Spine computed tomography; sagittal reformat
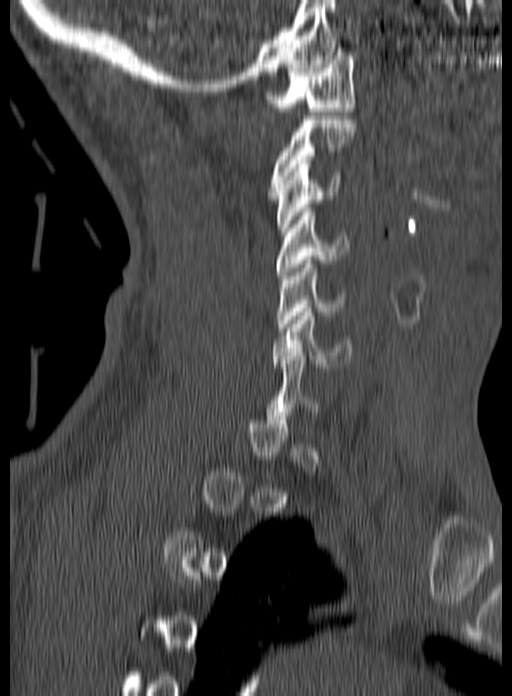

Each box given as x1,y1,x2,y2.
A vertebra gets a box only on the slices from the first to the last where its cross-section is at least a third of its largest; on a slice outside that range it gets none.
Vertebra bounding boxes:
- C1: x1=265, y1=48, x2=355, y2=111
- C2: x1=268, y1=116, x2=355, y2=195
- C3: x1=276, y1=160, x2=341, y2=231
- C4: x1=276, y1=208, x2=350, y2=279
- C5: x1=276, y1=260, x2=347, y2=331
- C6: x1=272, y1=308, x2=352, y2=367